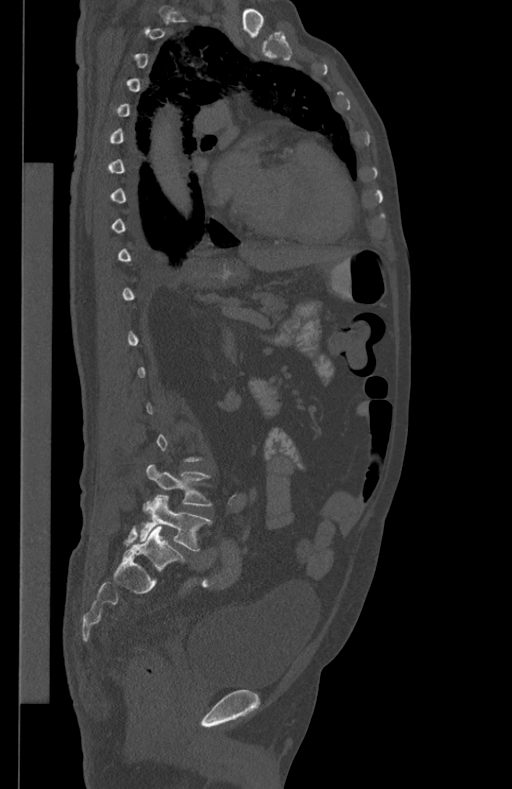 Spine CT. sagittal view. bone window. 512x789 px
A vertebra gets a box only on the slices from the first to the last where its cross-section is at least a third of its largest; on a slice outside that range it gets none.
<vertebrae><v name="L5" x1="140" y1="495" x2="211" y2="551"/><v name="L4" x1="146" y1="463" x2="212" y2="505"/></vertebrae>